Spine CT — the image is 444 mm wide — sagittal plane, index 200 — Bone window (WL 400, WW 1800) — 444x709 px — 17 vertebrae labeled in this scan
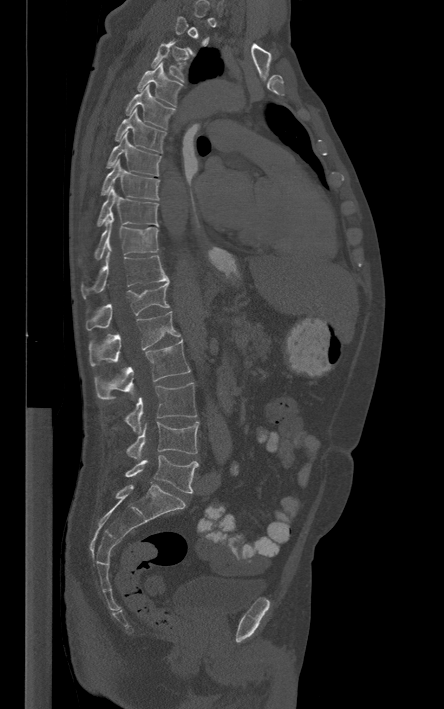

Bounding boxes as [x1, y1, x2, y2] in pixel coordinates. A vertebra is boxed only from the first to the last slice where its cross-section is at least a third of its largest; slices outside that range leave it without a box. 15 vertebrae labeled — T3 at [150, 40, 186, 81]; T4 at [137, 62, 183, 106]; T5 at [125, 85, 175, 129]; T6 at [115, 108, 166, 152]; T7 at [106, 132, 161, 175]; T8 at [101, 160, 159, 200]; T9 at [97, 187, 158, 226]; T10 at [94, 219, 158, 259]; T11 at [81, 250, 168, 297]; T12 at [86, 281, 169, 330]; L1 at [89, 311, 180, 366]; L2 at [94, 340, 190, 399]; L3 at [124, 382, 196, 433]; L4 at [126, 421, 198, 459]; L5 at [125, 455, 198, 493].